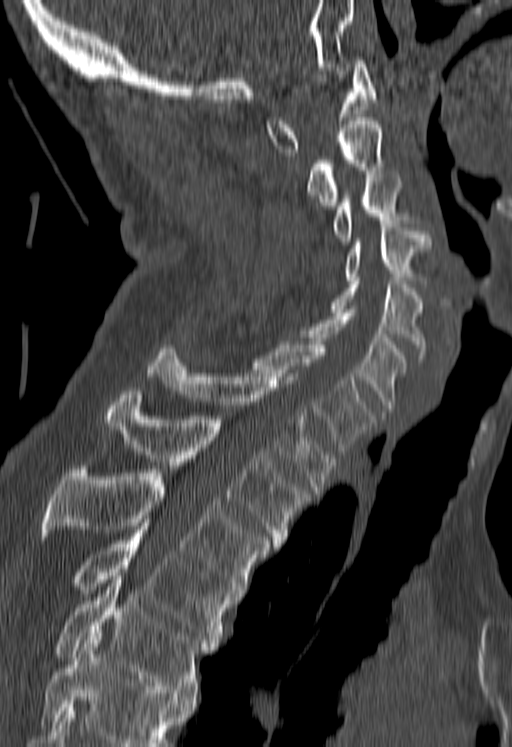
Computed tomography of the spine · sagittal view
Bounding boxes as [x1, y1, x2, y2] in pixel coordinates. No box is given to a vertebra that the bottom edge of the scan cuts off. 12 vertebrae labeled — T5 at [55, 576, 210, 699]; T4 at [75, 523, 230, 646]; T3 at [41, 466, 270, 596]; T2 at [106, 391, 310, 547]; T1 at [147, 348, 336, 493]; C7 at [251, 341, 373, 454]; C6 at [302, 309, 407, 411]; C5 at [331, 277, 427, 358]; C4 at [345, 224, 430, 283]; C3 at [334, 174, 404, 241]; C2 at [308, 117, 384, 209]; C1 at [265, 57, 375, 152].